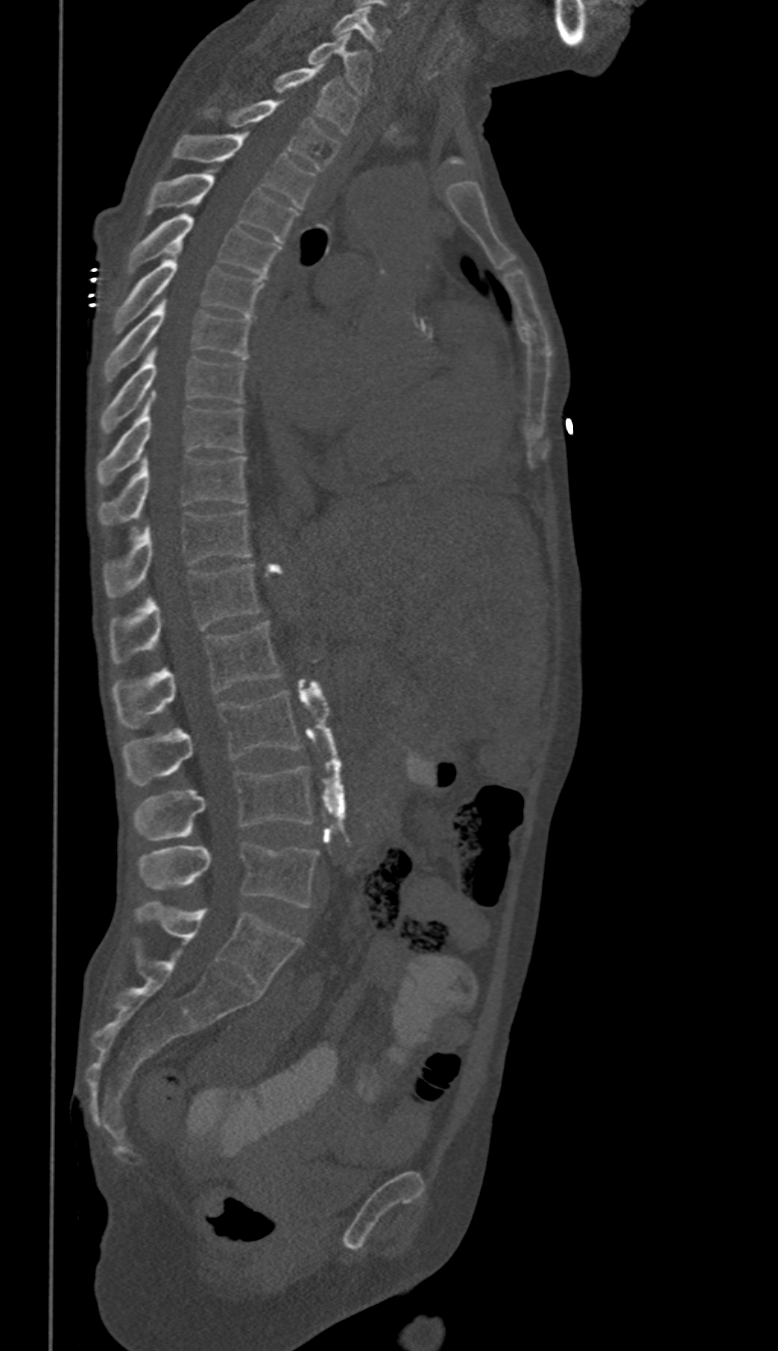

CT; sagittal view; bone-window reconstruction
Each box given as x1,y1,x2,y2.
In these labels the thoracic vertebrae end at T11, so L1 follows T11.
| vertebra | x1 | y1 | x2 | y2 |
|---|---|---|---|---|
| L5 | 140 | 843 | 318 | 906 |
| L4 | 135 | 767 | 312 | 839 |
| L3 | 122 | 692 | 301 | 786 |
| L2 | 112 | 623 | 279 | 728 |
| L1 | 111 | 563 | 259 | 664 |
| T11 | 105 | 509 | 250 | 597 |
| T10 | 100 | 456 | 245 | 524 |
| T9 | 97 | 394 | 244 | 484 |
| T8 | 102 | 349 | 245 | 433 |
| T7 | 105 | 298 | 250 | 379 |
| T6 | 115 | 247 | 263 | 331 |
| T5 | 129 | 214 | 279 | 277 |
| T4 | 146 | 169 | 297 | 242 |
| T3 | 173 | 134 | 313 | 206 |
| T2 | 204 | 100 | 339 | 171 |
| T1 | 273 | 65 | 359 | 133 |
| C7 | 307 | 32 | 373 | 95 |
| C6 | 333 | 7 | 389 | 51 |